CT — sagittal reformat — Bone window (WL 400, WW 1800) — 8 vertebrae labeled in this scan — part of the scan has been removed (filled with constant black)
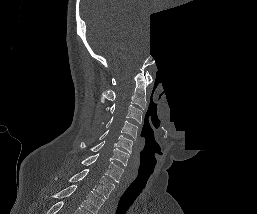
Box edges are left/top/right/bottom in pixels. This scan's labels start at C1 at the top and end at T1 at the bottom. 8 vertebrae labeled — C1 at left=111, top=71, right=152, bottom=85; C2 at left=100, top=69, right=149, bottom=109; C3 at left=106, top=103, right=142, bottom=123; C4 at left=102, top=117, right=138, bottom=139; C5 at left=99, top=130, right=132, bottom=153; C6 at left=80, top=140, right=129, bottom=167; C7 at left=81, top=153, right=123, bottom=182; T1 at left=55, top=169, right=114, bottom=198.